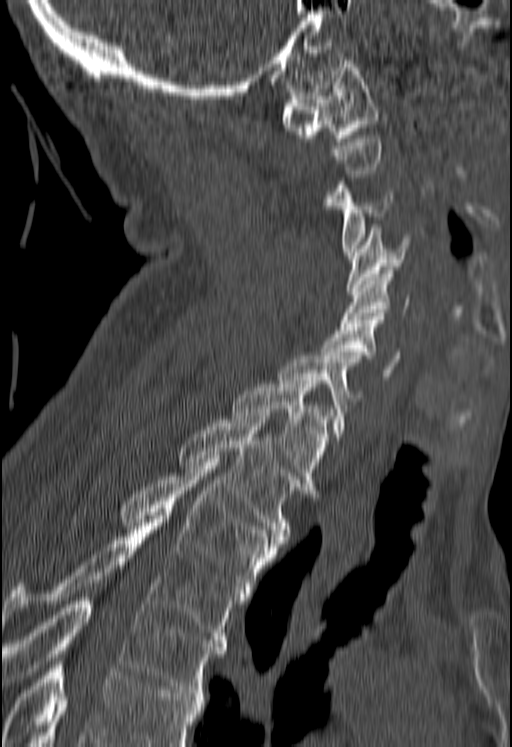 Computed tomography of the spine — sagittal view — W/L 1800/400 HU — 512x747 px

Each box given as x1,y1,x2,y2.
Each vertebra is boxed only on the slices from the first to the last where its cross-section reaches a third of its largest, so a slice outside that range leaves it unboxed.
Vertebrae that run past the bottom of the scan are left unlabeled.
Vertebra bounding boxes:
- C1: x1=281, y1=60, x2=379, y2=141
- C3: x1=331, y1=178, x2=392, y2=255
- C4: x1=347, y1=228, x2=409, y2=291
- C5: x1=340, y1=270, x2=410, y2=326
- C6: x1=321, y1=316, x2=400, y2=379
- C7: x1=277, y1=356, x2=361, y2=440
- T1: x1=231, y1=380, x2=332, y2=493
- T2: x1=180, y1=416, x2=307, y2=539
- T3: x1=120, y1=459, x2=282, y2=596
- T4: x1=3, y1=516, x2=242, y2=643
- T5: x1=1, y1=597, x2=225, y2=696